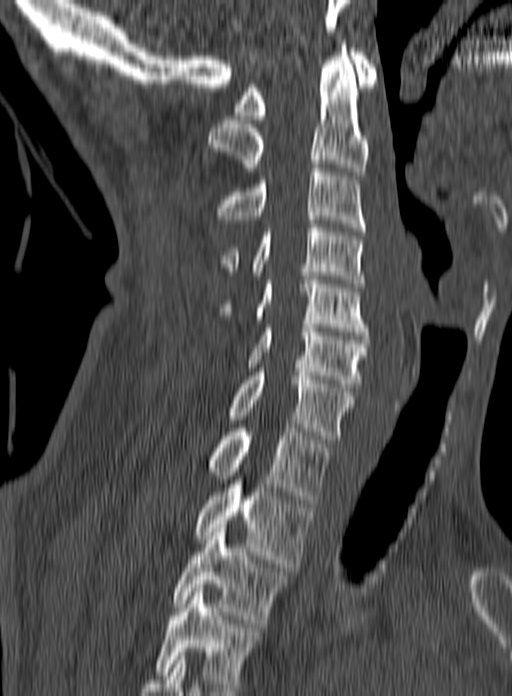

Spine computed tomography; sagittal view. Bounding boxes as [x1, y1, x2, y2] in pixel coordinates. This scan's labels start at C1 at the top and end at T3 at the bottom. 10 vertebrae labeled — C1 at [234, 48, 377, 119]; C2 at [207, 44, 369, 175]; C3 at [215, 164, 365, 231]; C4 at [221, 224, 365, 287]; C5 at [218, 272, 368, 335]; C6 at [248, 324, 369, 387]; C7 at [231, 368, 354, 443]; T1 at [209, 428, 330, 503]; T2 at [193, 480, 311, 567]; T3 at [174, 524, 288, 627].